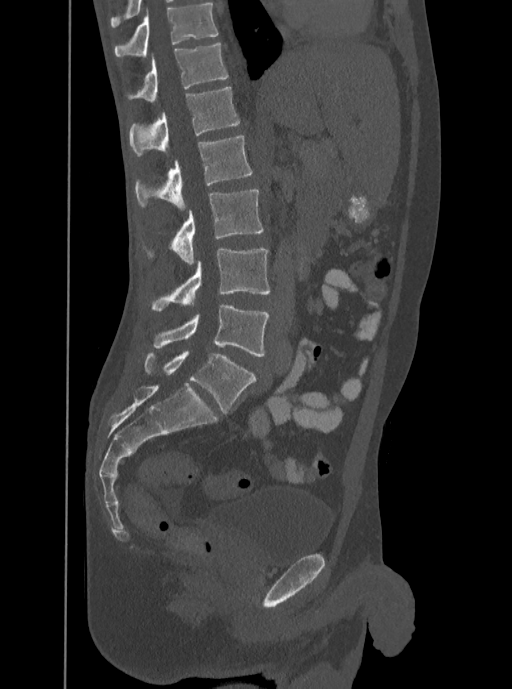

Spine CT. sagittal view. W/L 1800/400 HU. 512x689 px

Boxes: x1 y1 x2 y2 (pixel coords, space-separated).
The highest labeled vertebra in this scan is T12; the lowest is L5.
L5: 153 304 268 356
L4: 152 246 269 311
L3: 148 190 264 265
L2: 134 136 252 211
L1: 130 86 239 157
T12: 128 43 228 104